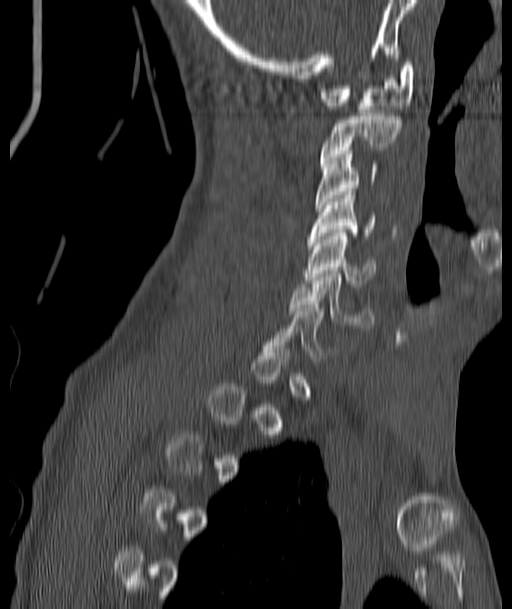
CT; sagittal reformat; bone window
Each vertebra maps to its box as [x1, y1, x2, y2], the pixel coordinates of its top-left and bottom-right corners.
A vertebra gets a box only on the slices from the first to the last where its cross-section is at least a third of its largest; on a slice outside that range it gets none.
{"vertebrae":{"C1":[321,62,414,109],"C2":[321,113,400,163],"C3":[316,151,378,208],"C4":[308,192,375,239],"C5":[305,229,376,286],"C6":[291,270,373,328]}}